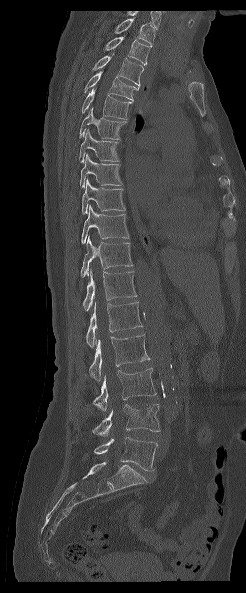 CT, spine · sagittal view · bone window
The highest labeled vertebra in this scan is T1; the lowest is L5.
<vertebrae><v name="T1" x1="114" y1="17" x2="154" y2="44"/><v name="T2" x1="103" y1="37" x2="151" y2="65"/><v name="T3" x1="92" y1="53" x2="143" y2="86"/><v name="T4" x1="84" y1="69" x2="138" y2="101"/><v name="T5" x1="82" y1="88" x2="131" y2="119"/><v name="T6" x1="79" y1="108" x2="126" y2="139"/><v name="T7" x1="79" y1="129" x2="119" y2="162"/><v name="T8" x1="80" y1="154" x2="122" y2="187"/><v name="T9" x1="82" y1="179" x2="125" y2="214"/><v name="T10" x1="81" y1="205" x2="128" y2="244"/><v name="T11" x1="80" y1="236" x2="132" y2="277"/><v name="T12" x1="83" y1="269" x2="136" y2="311"/><v name="L1" x1="86" y1="302" x2="142" y2="347"/><v name="L2" x1="89" y1="334" x2="150" y2="381"/><v name="L3" x1="93" y1="368" x2="156" y2="411"/><v name="L4" x1="92" y1="404" x2="160" y2="436"/><v name="L5" x1="94" y1="437" x2="157" y2="470"/></vertebrae>